Spine computed tomography; sagittal plane, index 242; 795x993 px
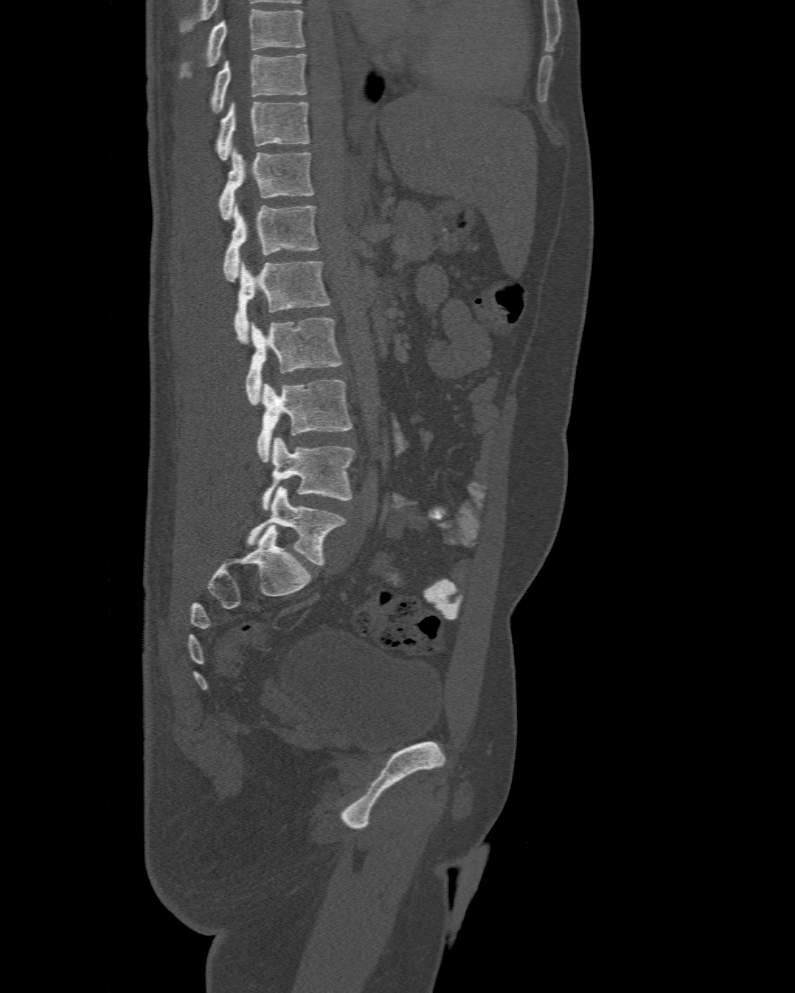 Labels in this scan begin with T10 at the top and end with L6 at the bottom.
In these labels the spine has an L6, a sixth lumbar vertebra below L5.
<vertebrae><v name="T10" x1="211" y1="53" x2="305" y2="112"/><v name="T11" x1="217" y1="102" x2="310" y2="161"/><v name="T12" x1="219" y1="147" x2="314" y2="221"/><v name="L1" x1="222" y1="202" x2="319" y2="281"/><v name="L2" x1="233" y1="262" x2="331" y2="344"/><v name="L3" x1="245" y1="317" x2="342" y2="404"/><v name="L4" x1="256" y1="380" x2="353" y2="461"/><v name="L5" x1="261" y1="437" x2="355" y2="510"/><v name="L6" x1="247" y1="487" x2="345" y2="564"/></vertebrae>